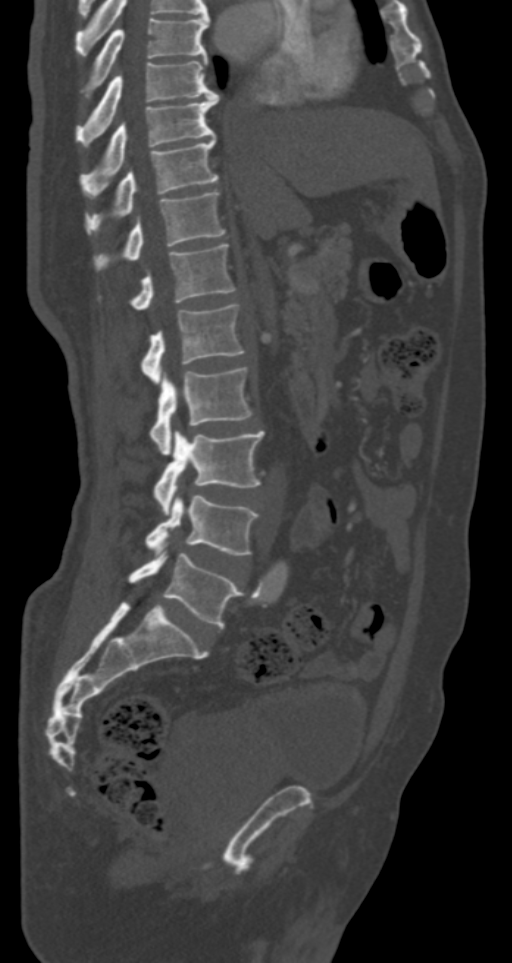
CT · sagittal view · W/L 1800/400 HU

Each box given as x1,y1,x2,y2.
| vertebra | x1 | y1 | x2 | y2 |
|---|---|---|---|---|
| T7 | 87 | 17 | 209 | 95 |
| T8 | 76 | 60 | 218 | 146 |
| T9 | 82 | 94 | 218 | 191 |
| T10 | 85 | 139 | 218 | 234 |
| T11 | 94 | 191 | 225 | 270 |
| T12 | 98 | 244 | 236 | 309 |
| L1 | 141 | 303 | 245 | 384 |
| L2 | 149 | 367 | 252 | 454 |
| L3 | 153 | 431 | 264 | 515 |
| L4 | 146 | 496 | 257 | 555 |
| L5 | 128 | 554 | 243 | 627 |